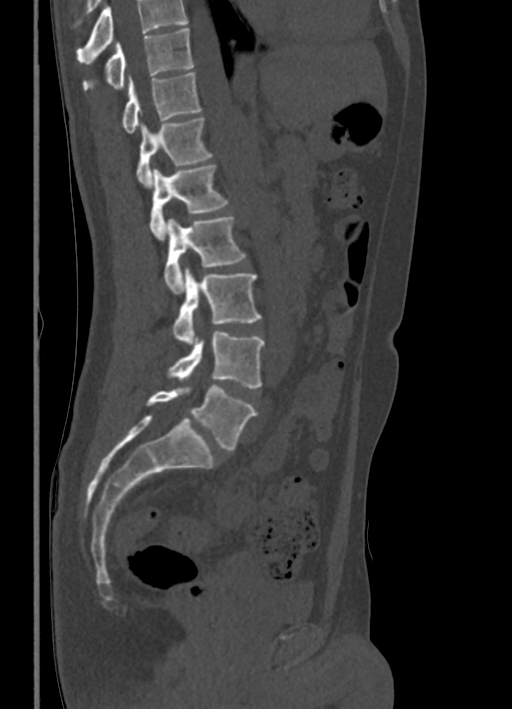 Spine CT; sagittal reformat
Each box given as x1,y1,x2,y2.
Where the top of the scan cuts through a vertebra, that vertebra gets no label or box.
| vertebra | x1 | y1 | x2 | y2 |
|---|---|---|---|---|
| T10 | 84 | 27 | 192 | 90 |
| T11 | 122 | 72 | 200 | 133 |
| T12 | 135 | 117 | 212 | 187 |
| L1 | 149 | 165 | 227 | 239 |
| L2 | 164 | 216 | 246 | 293 |
| L3 | 174 | 268 | 261 | 345 |
| L4 | 167 | 331 | 264 | 388 |
| L5 | 146 | 385 | 256 | 450 |